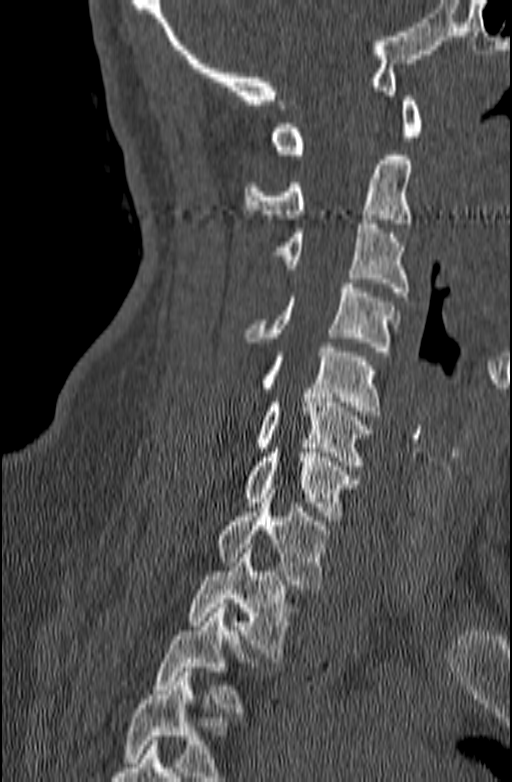

CT spine. sagittal view. bone-window reconstruction. 140 mm across the image
Boxes are (x1, y1, x2, y2) in pixels. Where the bottom of the scan cuts through a vertebra, that vertebra gets no label or box. Vertebrae labeled: C1 at (271, 96, 422, 159), C2 at (244, 155, 412, 223), C3 at (272, 219, 410, 296), C4 at (245, 283, 399, 356), C5 at (261, 347, 380, 415), C6 at (254, 393, 373, 465), C7 at (243, 448, 359, 520), T1 at (213, 489, 331, 589), T2 at (187, 544, 300, 657), T3 at (152, 603, 259, 712).